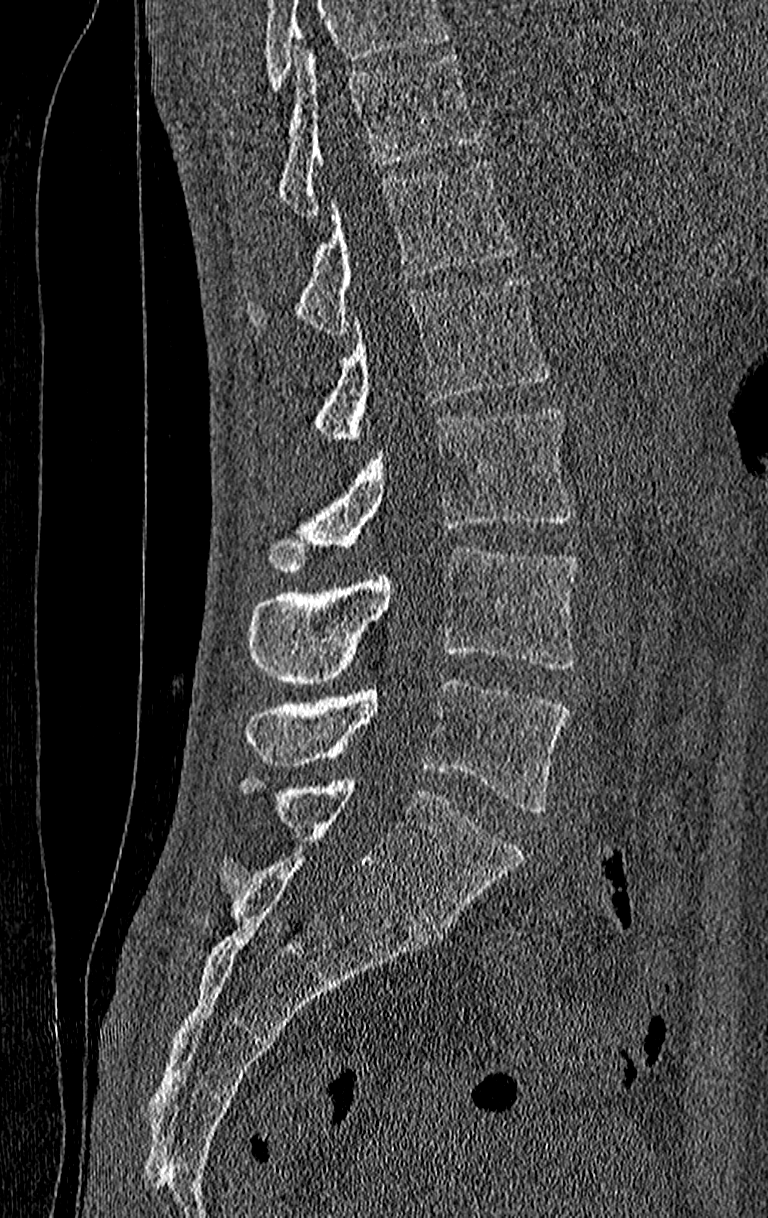

CT spine; sagittal view; 768x1218 px
Boxes: x1 y1 x2 y2 (pixel coords, space-separated). Where the top of the scan cuts through a vertebra, that vertebra gets no label or box. In this scan, the topmost labeled vertebra is T11 and the lowest is L4. 6 vertebrae labeled — L4 at 244 678 568 812; L3 at 247 546 579 684; L2 at 262 406 572 570; L1 at 310 275 550 438; T12 at 247 158 521 333; T11 at 277 48 480 220.